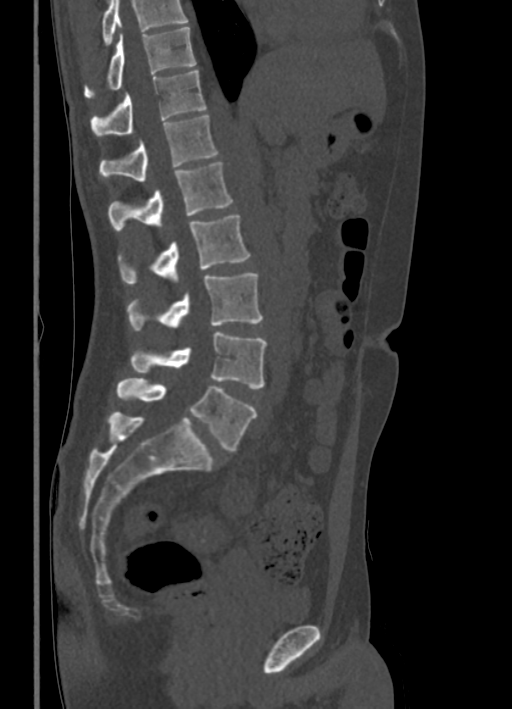

Spine computed tomography. sagittal view. bone-window reconstruction. 512x709 px
Box edges are left/top/right/bottom in pixels. Vertebrae that run past the top of the scan are left unlabeled. 8 vertebrae labeled — T10 at left=84, top=27, right=195, bottom=98; T11 at left=91, top=70, right=206, bottom=136; T12 at left=99, top=115, right=218, bottom=181; L1 at left=108, top=161, right=233, bottom=231; L2 at left=117, top=215, right=250, bottom=284; L3 at left=126, top=273, right=262, bottom=330; L4 at left=131, top=332, right=267, bottom=389; L5 at left=117, top=378, right=256, bottom=451.